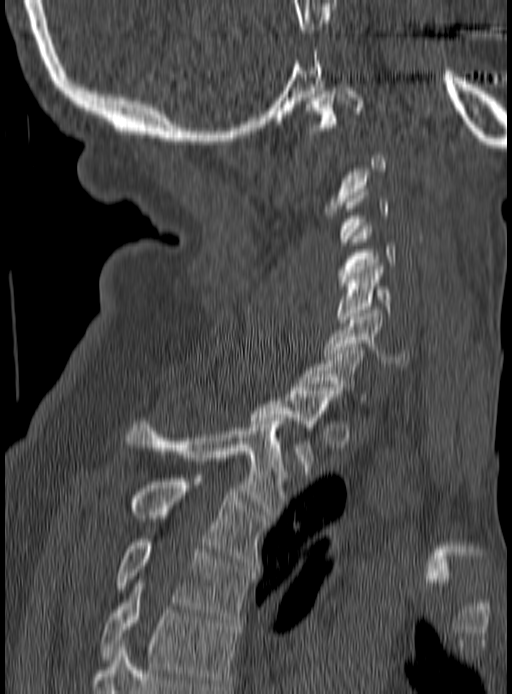 CT. sagittal view. 190 mm image width. W/L 1800/400 HU. Coordinates as <box>x1,y1,x2,y2</box>. A vertebra is boxed only from the first to the last slice where its cross-section is at least a third of its largest; slices outside that range leave it without a box. Vertebrae labeled: T5 at <box>101,583,237,686</box>, T4 at <box>117,539,253,622</box>, T3 at <box>130,478,267,565</box>, T2 at <box>125,418,286,514</box>, T1 at <box>250,387,339,471</box>, C7 at <box>300,347,368,403</box>, C6 at <box>323,310,411,366</box>, C5 at <box>337,266,391,322</box>, C4 at <box>337,226,395,289</box>, C1 at <box>306,84,364,130</box>.